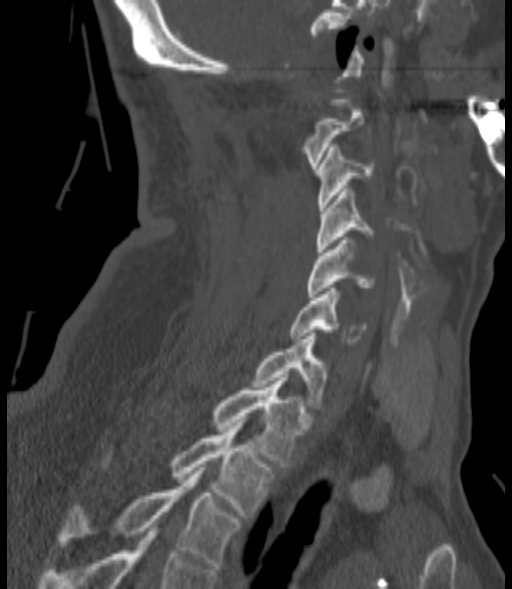
CT — sagittal view — 512x589 px

Each box given as x1,y1,x2,y2.
C2: x1=300, y1=99, x2=364, y2=169
C3: x1=316, y1=147, x2=374, y2=210
C4: x1=316, y1=186, x2=374, y2=252
C5: x1=305, y1=237, x2=376, y2=297
C6: x1=290, y1=288, x2=366, y2=345
C7: x1=254, y1=333, x2=327, y2=409
T1: x1=211, y1=378, x2=307, y2=466
T2: x1=101, y1=426, x2=274, y2=517
T3: x1=57, y1=470, x2=240, y2=569